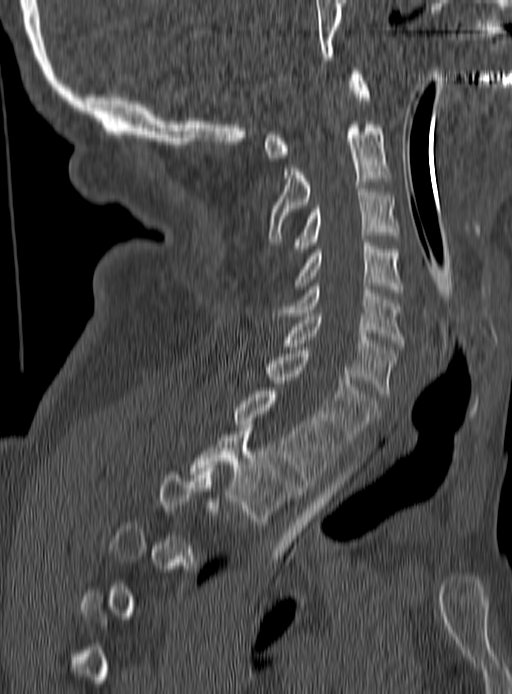 Spine computed tomography · sagittal view · W/L 1800/400 HU · 512x694 px · 190 mm across the image
Not every vertebra on this slice has a box: a vertebra is boxed only from the first to the last slice where its cross-section is at least a third of its largest, and this slice is outside that range for at least one of them.
<vertebrae><v name="T2" x1="189" y1="428" x2="299" y2="524"/><v name="T1" x1="235" y1="391" x2="339" y2="484"/><v name="C7" x1="268" y1="350" x2="377" y2="444"/><v name="C6" x1="284" y1="313" x2="396" y2="396"/><v name="C5" x1="272" y1="283" x2="404" y2="343"/><v name="C4" x1="295" y1="243" x2="401" y2="292"/><v name="C3" x1="294" y1="185" x2="399" y2="252"/><v name="C2" x1="268" y1="121" x2="391" y2="242"/><v name="C1" x1="264" y1="71" x2="369" y2="161"/></vertebrae>